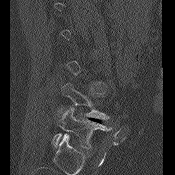 CT · sagittal view · W/L 1800/400 HU · 175x175 px
Boxes: x1 y1 x2 y2 (pixel coords, space-separated). A vertebra gets a box only on the slices from the first to the last where its cross-section is at least a third of its largest; on a slice outside that range it gets none. 2 vertebrae labeled — L4 at 61 83 109 119; L5 at 51 107 111 148.